CT. Sagittal slice 204/365. scan covers 17 annotated vertebrae
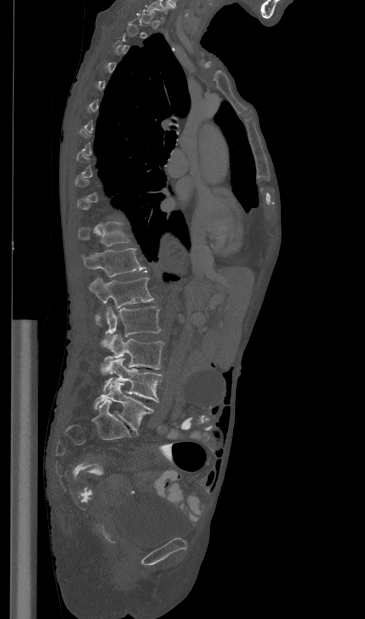

Coordinates as <box>x1,y1,x2,y2</box>.
A vertebra is boxed only from the first to the last slice where its cross-section is at least a third of its largest; slices outside that range leave it without a box.
T11: <box>78,221,129,246</box>
T12: <box>82,248,146,277</box>
L1: <box>89,277,153,325</box>
L2: <box>101,306,160,345</box>
L3: <box>100,334,164,373</box>
L4: <box>103,358,162,402</box>
L5: <box>93,380,153,434</box>